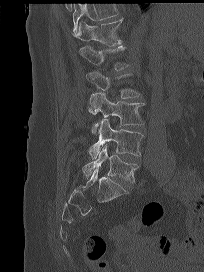 CT, spine; image width 204 mm; sagittal view; 204x272 px. Coordinates as <box>x1,y1,x2,y2</box>. No box is given to a vertebra that the top edge of the scan cuts off. Vertebrae labeled: L5 at <box>82,145,138,183</box>, L4 at <box>89,118,143,160</box>, L3 at <box>89,92,144,134</box>, L2 at <box>86,71,140,103</box>, L1 at <box>79,45,128,70</box>, T12 at <box>73,17,123,45</box>.